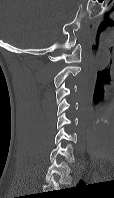 Spine CT — sagittal view — 114x198 px
Each box given as x1,y1,x2,y2.
In this scan, the topmost labeled vertebra is C1 and the lowest is C7.
Vertebra bounding boxes:
- C1: x1=48, y1=44, x2=81, y2=63
- C2: x1=54, y1=65, x2=80, y2=87
- C3: x1=55, y1=82, x2=77, y2=104
- C4: x1=56, y1=98, x2=77, y2=115
- C5: x1=56, y1=113, x2=78, y2=128
- C6: x1=54, y1=127, x2=76, y2=144
- C7: x1=49, y1=142, x2=74, y2=163